CT spine; the image is 150 mm wide; sagittal plane, index 229; 512x943 px
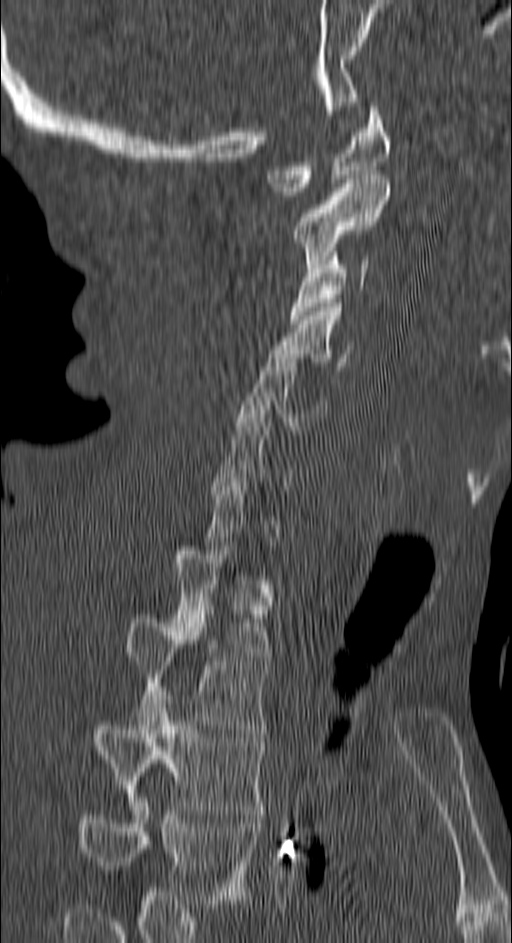 Each vertebra maps to its box as [x1, y1, x2, y2], the pixel coordinates of its top-left and bottom-right corners.
A vertebra is boxed only from the first to the last slice where its cross-section is at least a third of its largest; slices outside that range leave it without a box.
This scan's labels start at C1 at the top and end at T4 at the bottom.
{"vertebrae":{"C1":[267,102,389,195],"C2":[295,175,389,268],"C3":[290,252,369,323],"C4":[268,303,352,366],"C5":[237,354,326,434],"T1":[172,546,270,660],"T2":[124,614,268,733],"T3":[90,695,263,814],"T4":[73,794,256,904]}}